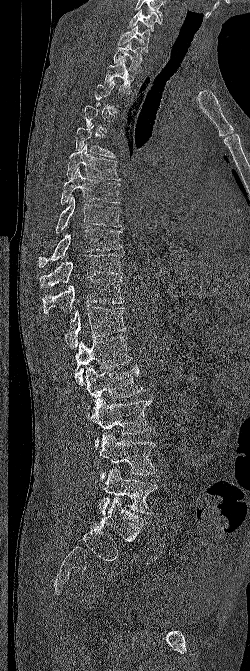
CT · sagittal reformat · Bone window (WL 400, WW 1800) · 250x671 px

Each row gives a vertebra's box as x1, y1, x2, y2 in pixels: top-left corner, then bottom-right corner.
Not every vertebra on this slice has a box: a vertebra is boxed only from the first to the last slice where its cross-section is at least a third of its largest, and this slice is outside that range for at least one of them.
| vertebra | x1 | y1 | x2 | y2 |
|---|---|---|---|---|
| C6 | 128 | 9 | 161 | 31 |
| C7 | 118 | 25 | 149 | 52 |
| T1 | 113 | 41 | 142 | 72 |
| T2 | 104 | 58 | 134 | 94 |
| T5 | 75 | 125 | 115 | 157 |
| T6 | 66 | 144 | 120 | 180 |
| T7 | 61 | 167 | 120 | 204 |
| T8 | 55 | 195 | 121 | 234 |
| T9 | 38 | 228 | 122 | 267 |
| T10 | 39 | 253 | 122 | 287 |
| T11 | 42 | 279 | 124 | 313 |
| T12 | 47 | 307 | 126 | 350 |
| L1 | 74 | 334 | 132 | 385 |
| L2 | 86 | 365 | 143 | 409 |
| L3 | 86 | 397 | 153 | 449 |
| L4 | 99 | 431 | 157 | 480 |
| L5 | 98 | 467 | 158 | 515 |